CT · Sagittal slice 248/512 · W/L 1800/400 HU · 512x933 px · part of the image is a flat gray fill, not anatomy
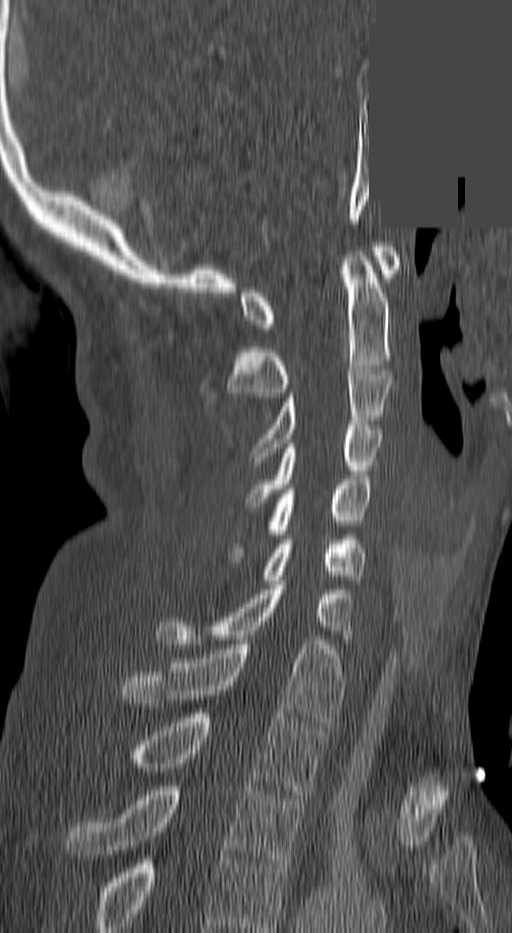
Box values are [left, top, right, bottom] in pixels.
This scan's labels start at C1 at the top and end at T3 at the bottom.
{"vertebrae":{"T3":[67,786,304,868],"T2":[133,713,323,794],"T1":[122,640,340,726],"C7":[155,585,351,648],"C6":[261,539,365,584],"C5":[232,480,370,557],"C4":[247,425,381,502],"C3":[253,370,392,461],"C2":[228,251,392,397],"C1":[239,247,399,328]}}